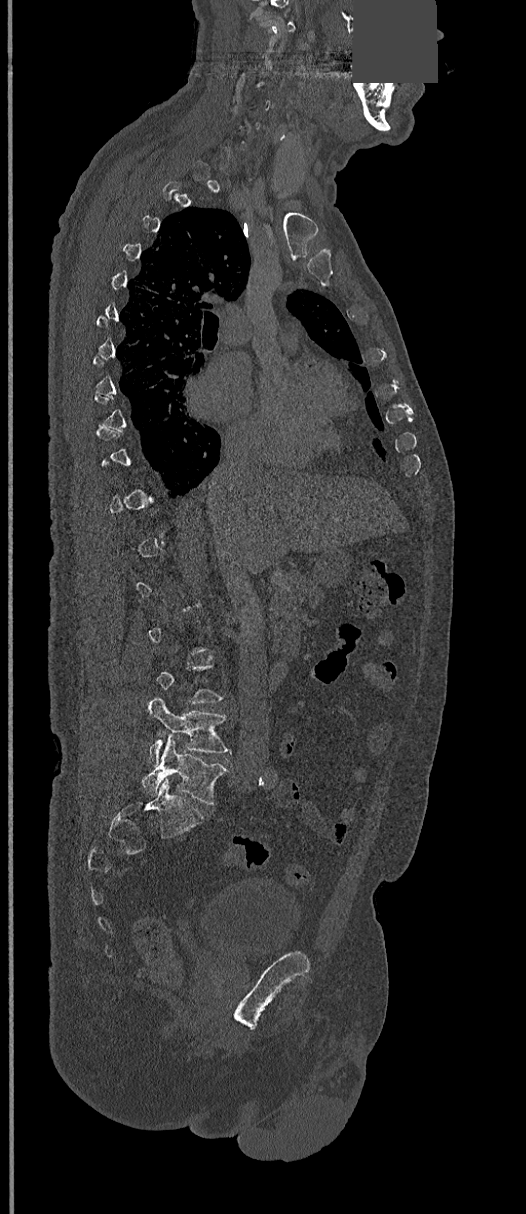 Spine CT — sagittal view — W/L 1800/400 HU — 368 mm image width — a region is masked with a constant gray value. Box edges are left/top/right/bottom in pixels. A vertebra gets a box only on the slices from the first to the last where its cross-section is at least a third of its largest; on a slice outside that range it gets none. Vertebrae labeled: L4 at left=147, top=697, right=232, bottom=766, L5 at left=143, top=737, right=227, bottom=805.